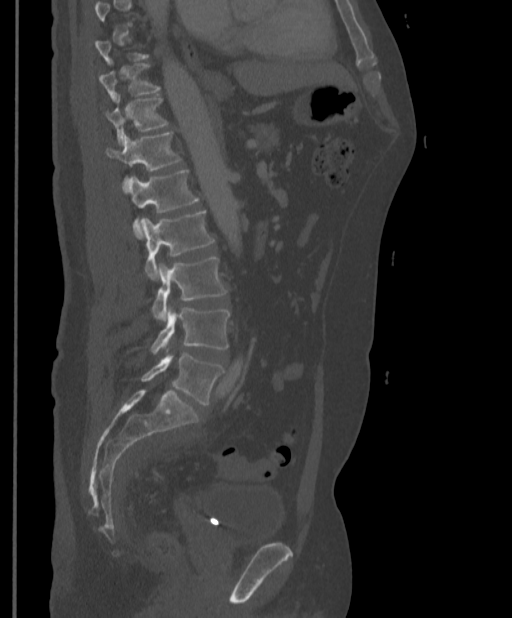 Spine CT · sagittal view. Columns x1, y1, x2, y2 give each box's top-left and bottom-right pixels.
A vertebra is boxed only from the first to the last slice where its cross-section is at least a third of its largest; slices outside that range leave it without a box.
| vertebra | x1 | y1 | x2 | y2 |
|---|---|---|---|---|
| L5 | 140 | 353 | 223 | 405 |
| L4 | 151 | 306 | 230 | 354 |
| L3 | 152 | 257 | 227 | 320 |
| L2 | 140 | 210 | 214 | 280 |
| L1 | 129 | 170 | 199 | 234 |
| T12 | 106 | 132 | 181 | 194 |
| T11 | 104 | 97 | 168 | 143 |
| T10 | 99 | 64 | 160 | 101 |